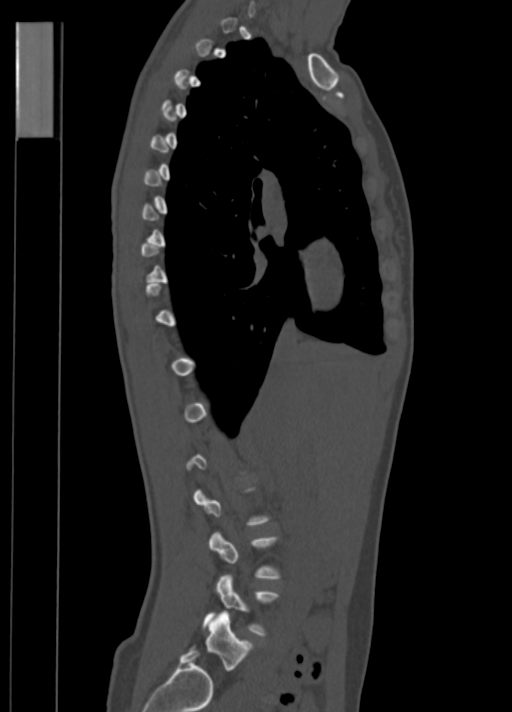
CT, spine · sagittal view · Bone window (WL 400, WW 1800) · 512x712 px. Each box given as x1,y1,x2,y2. Not every vertebra on this slice has a box: a vertebra is boxed only from the first to the last slice where its cross-section is at least a third of its largest, and this slice is outside that range for at least one of them. 2 vertebrae labeled — L4 at x1=203, y1=573, x2=278, y2=635; L5 at x1=206, y1=613, x2=252, y2=670.